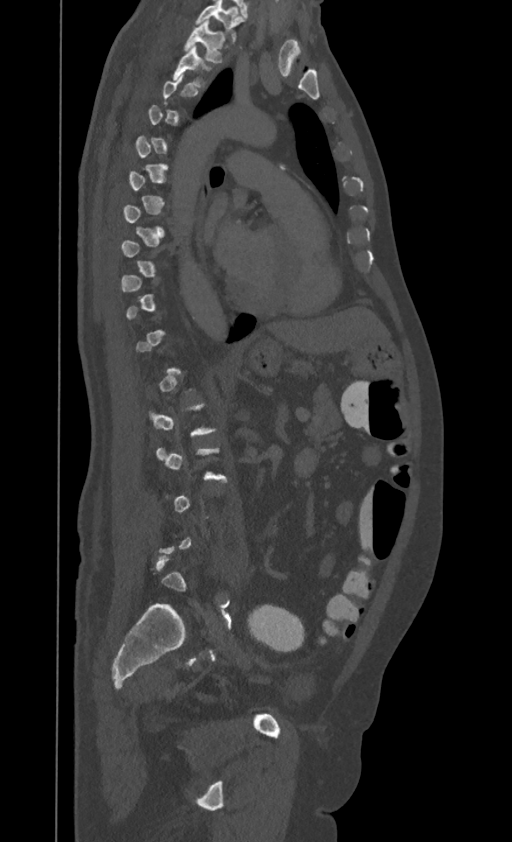
CT spine. sagittal reformat. image 395 mm wide. bone window. 512x842 px
Boxes: x1 y1 x2 y2 (pixel coords, space-separated).
A vertebra gets a box only on the slices from the first to the last where its cross-section is at least a third of its largest; on a slice outside that range it gets none.
In this scan, the topmost labeled vertebra is T1 and the lowest is L4.
Vertebra bounding boxes:
- T2: 172 45 208 85
- T1: 184 21 224 62